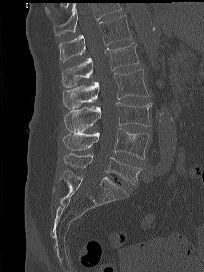

Spine computed tomography · sagittal view
Coordinates as <box>x1,y1,x2,y2</box>.
A vertebra cut off by the top edge of the scan is not labeled and has no box.
L5: <box>63,153,141,185</box>
L4: <box>63,128,149,159</box>
L3: <box>64,102,152,132</box>
L2: <box>63,69,149,109</box>
L1: <box>62,42,139,87</box>
T12: <box>58,15,132,62</box>